Spine CT; sagittal reformat; image 191 mm wide; 191x345 px; scan covers 8 annotated vertebrae
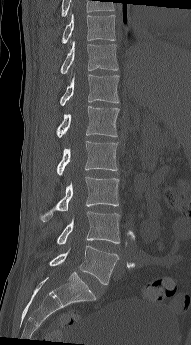

Bounding boxes as [x1, y1, x2, y2] in pixel coordinates. The labeled vertebrae in this slice are: L5 at [49, 245, 119, 284], L4 at [56, 211, 120, 244], L3 at [39, 177, 119, 221], L2 at [56, 141, 118, 175], L1 at [56, 106, 119, 137], T12 at [59, 73, 119, 105], T11 at [60, 41, 118, 74], T10 at [61, 6, 115, 43].